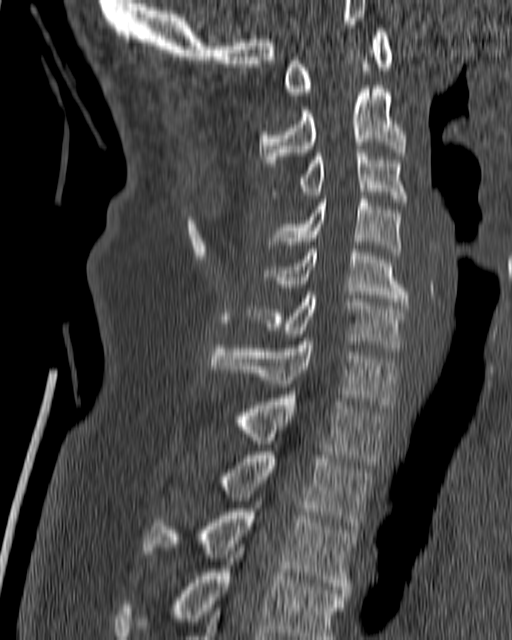

CT; sagittal view; bone window

Columns x1, y1, x2, y2 give each box's top-left and bottom-right pixels.
| vertebra | x1 | y1 | x2 | y2 |
|---|---|---|---|---|
| C1 | 283 | 28 | 392 | 95 |
| C2 | 259 | 85 | 407 | 170 |
| C3 | 272 | 149 | 408 | 205 |
| C4 | 265 | 192 | 401 | 255 |
| C5 | 265 | 249 | 410 | 305 |
| C6 | 246 | 292 | 408 | 351 |
| C7 | 209 | 341 | 398 | 408 |
| T1 | 236 | 395 | 387 | 465 |
| T2 | 223 | 452 | 373 | 532 |
| T3 | 143 | 501 | 355 | 593 |
| T4 | 112 | 544 | 347 | 639 |